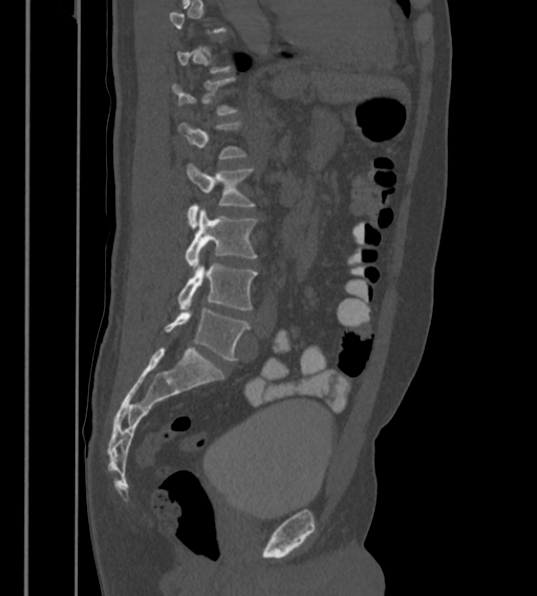

CT, spine; sagittal view; Bone window (WL 400, WW 1800); 537x596 px. Boxes: x1 y1 x2 y2 (pixel coords, space-separated).
A vertebra is boxed only from the first to the last slice where its cross-section is at least a third of its largest; slices outside that range leave it without a box.
These labels give the spine a sixth lumbar vertebra, L6, below L5.
Vertebra bounding boxes:
- L6: 165 307 250 360
- L5: 177 257 256 311
- L4: 185 207 255 269
- L3: 186 163 254 226